CT · sagittal reformat
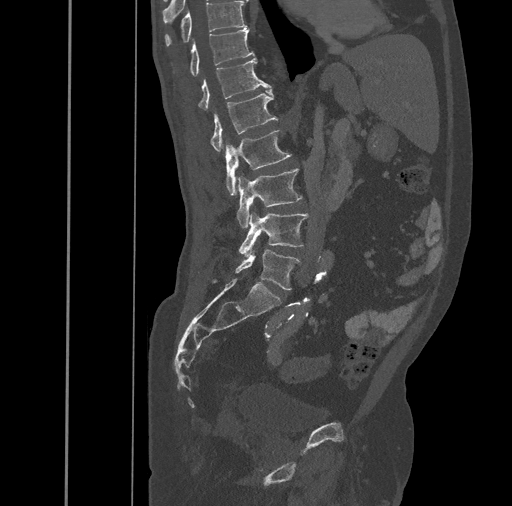

Boxes are given in columns x1, y1, x2, y2, the pixel coordinates of their top-left and bottom-right corners.
| vertebra | x1 | y1 | x2 | y2 |
|---|---|---|---|---|
| L5 | 235 | 249 | 301 | 290 |
| L4 | 238 | 213 | 308 | 257 |
| L3 | 236 | 168 | 302 | 227 |
| L2 | 225 | 129 | 290 | 195 |
| L1 | 210 | 89 | 277 | 151 |
| T12 | 198 | 58 | 270 | 110 |
| T11 | 173 | 28 | 254 | 75 |
| T10 | 165 | 1 | 246 | 46 |